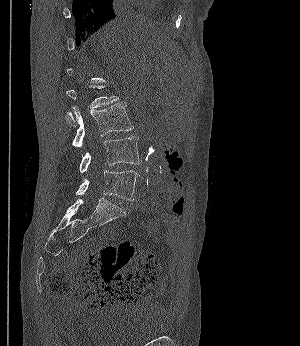 CT spine. image 300 mm wide. sagittal view. 300x346 px
Each vertebra is boxed only on the slices from the first to the last where its cross-section reaches a third of its largest, so a slice outside that range leaves it unboxed.
<vertebrae><v name="L3" x1="71" y1="102" x2="133" y2="147"/><v name="L4" x1="79" y1="136" x2="141" y2="172"/><v name="L5" x1="76" y1="170" x2="139" y2="200"/></vertebrae>